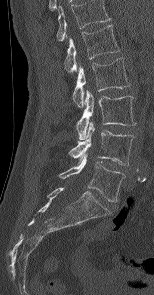

CT, spine. sagittal view. bone window

Boxes: x1:y1:x2:y2 in pixels.
In this scan, the topmost labeled vertebra is L1 and the lowest is L5.
Vertebra bounding boxes:
- L1: 64:24:120:72
- L2: 72:58:129:107
- L3: 76:90:136:139
- L4: 69:121:133:165
- L5: 59:154:125:201